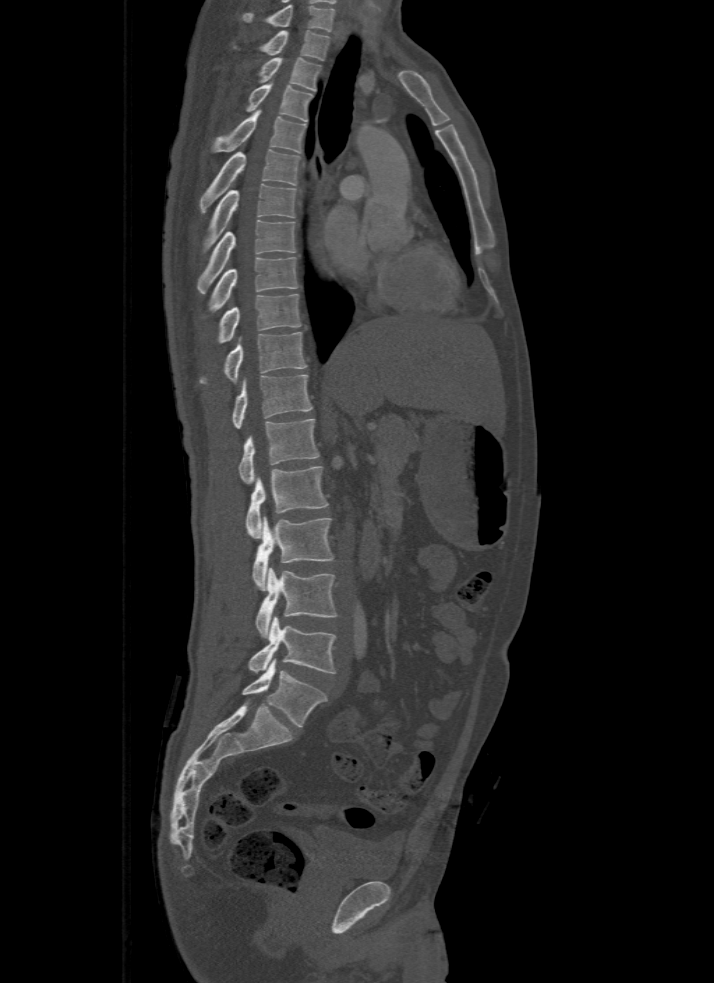
Spine computed tomography · sagittal view · bone-window reconstruction · 714x983 px

Box values are [left, top, right, bottom] in pixels.
The highest labeled vertebra in this scan is T1; the lowest is L5.
{"vertebrae":{"T1":[234,30,330,59],"T2":[258,57,320,91],"T3":[246,83,313,121],"T4":[212,110,306,152],"T5":[199,150,300,212],"T6":[202,183,296,249],"T7":[197,220,295,292],"T8":[205,257,298,317],"T9":[216,293,300,344],"T10":[199,332,306,384],"T11":[232,375,311,428],"T12":[239,419,318,484],"L1":[246,466,328,538],"L2":[253,516,334,590],"L3":[255,568,338,638],"L4":[248,616,337,674],"L5":[241,659,325,727]}}